CT, spine · sagittal reformat · W/L 1800/400 HU · 512x705 px
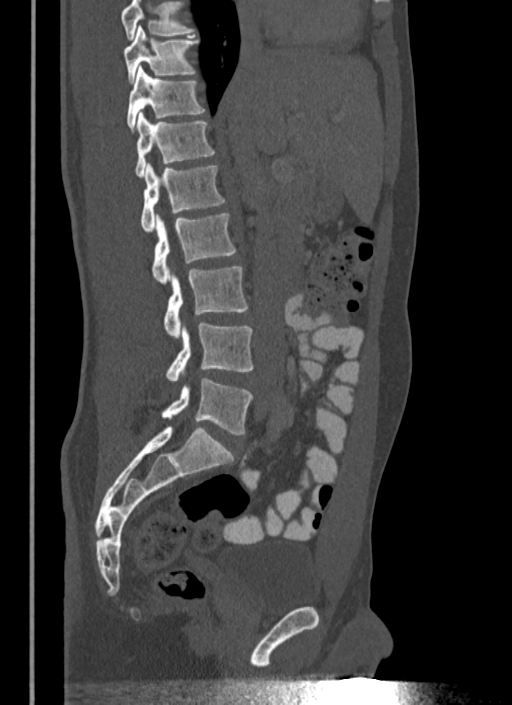 Each row gives a vertebra's box as x1, y1, x2, y2 in pixels: top-left corner, then bottom-right corner.
Where the top of the scan cuts through a vertebra, that vertebra gets no label or box.
| vertebra | x1 | y1 | x2 | y2 |
|---|---|---|---|---|
| T10 | 123 | 26 | 199 | 82 |
| T11 | 126 | 66 | 205 | 132 |
| T12 | 135 | 111 | 214 | 177 |
| L1 | 141 | 163 | 225 | 232 |
| L2 | 152 | 212 | 235 | 284 |
| L3 | 164 | 267 | 247 | 338 |
| L4 | 165 | 322 | 253 | 381 |
| L5 | 161 | 378 | 252 | 434 |